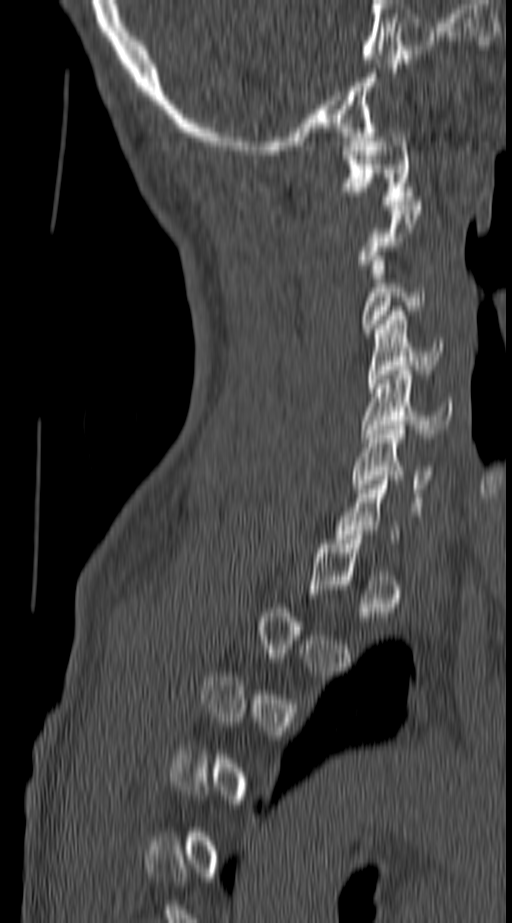
CT, spine · image 140 mm wide · sagittal reformat

Box edges are left/top/right/bottom in pixels. A vertebra gets a box only on the slices from the first to the last where its cross-section is at least a third of its largest; on a slice outside that range it gets none. 5 vertebrae labeled — C1 at left=345, top=128, right=414, bottom=205; C3 at left=362, top=256, right=424, bottom=333; C4 at left=367, top=311, right=441, bottom=388; C5 at left=361, top=370, right=452, bottom=442; C6 at left=350, top=425, right=434, bottom=493.